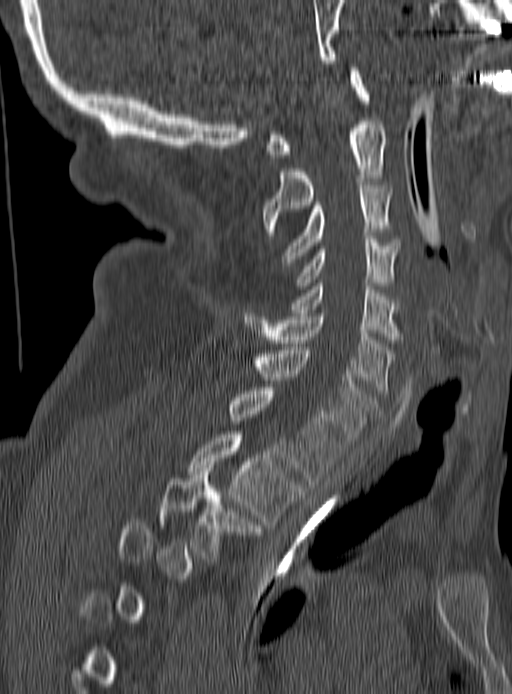 CT, spine · sagittal view
A vertebra is boxed only from the first to the last slice where its cross-section is at least a third of its largest; slices outside that range leave it without a box.
<vertebrae><v name="C1" x1="264" y1="71" x2="369" y2="157"/><v name="C2" x1="262" y1="121" x2="385" y2="235"/><v name="C3" x1="281" y1="182" x2="391" y2="265"/><v name="C4" x1="297" y1="236" x2="399" y2="289"/><v name="C5" x1="292" y1="283" x2="399" y2="339"/><v name="C6" x1="243" y1="313" x2="394" y2="393"/><v name="C7" x1="251" y1="350" x2="377" y2="444"/><v name="T1" x1="230" y1="387" x2="342" y2="484"/><v name="T2" x1="189" y1="431" x2="304" y2="524"/><v name="T3" x1="160" y1="468" x2="261" y2="558"/></vertebrae>